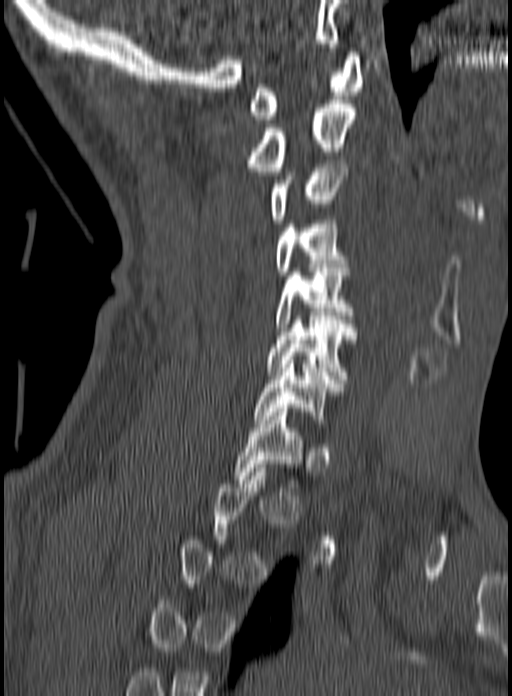

CT spine; sagittal reformat; bone window; 160 mm image width. Box edges are left/top/right/bottom in pixels. A vertebra is boxed only from the first to the last slice where its cross-section is at least a third of its largest; slices outside that range leave it without a box. 8 vertebrae labeled — C1 at left=248, top=52, right=362, bottom=119; C2 at left=248, top=100, right=355, bottom=171; C3 at left=270, top=160, right=347, bottom=223; C4 at left=275, top=220, right=349, bottom=279; C5 at left=276, top=272, right=353, bottom=331; C6 at left=267, top=316, right=356, bottom=383; C7 at left=254, top=360, right=345, bottom=423; T1 at left=232, top=408, right=303, bottom=479.